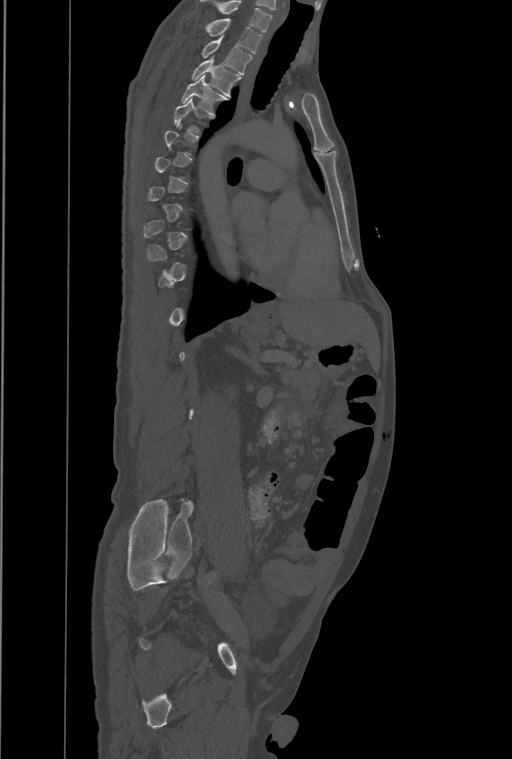
Spine CT. sagittal view
Each box given as x1,y1,x2,y2.
Each vertebra is boxed only on the slices from the first to the last where its cross-section reaches a third of its largest, so a slice outside that range leaves it unboxed.
This scan's labels start at T1 at the top and end at L4 at the bottom.
T4: x1=182, y1=76, x2=226, y2=114
T3: x1=192, y1=58, x2=241, y2=96
T2: x1=202, y1=37, x2=252, y2=75
T1: x1=205, y1=18, x2=262, y2=53